Computed tomography of the spine · sagittal plane, index 37 · 18 vertebrae labeled in this scan
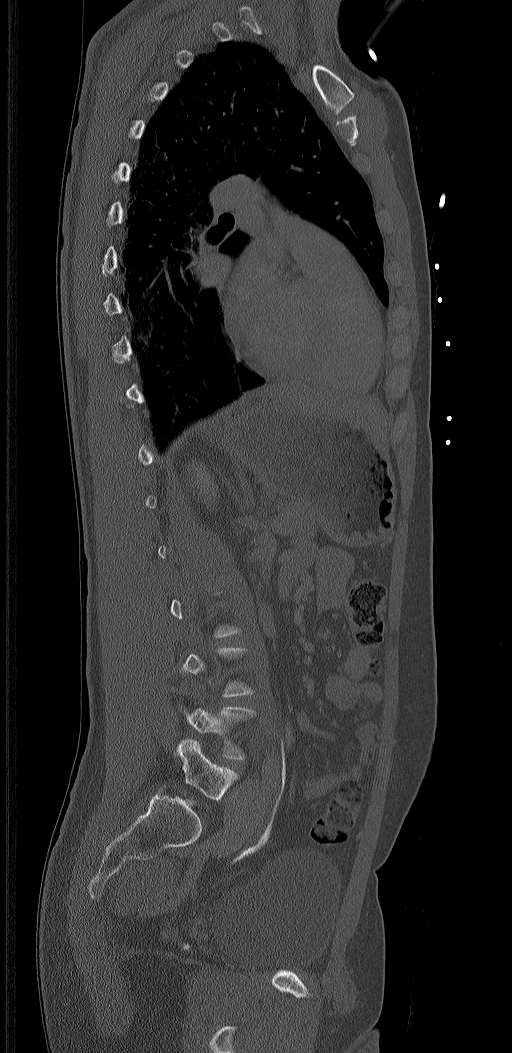
Box values are [left, top, right, bottom] in pixels.
Not every vertebra on this slice has a box: a vertebra is boxed only from the first to the last slice where its cross-section is at least a third of its largest, and this slice is outside that range for at least one of them.
In these labels the spine has an L6, a sixth lumbar vertebra below L5.
{"vertebrae":{"L5":[184,706,255,759],"L6":[175,738,238,801]}}